Computed tomography of the spine; Sagittal slice 350/685; 11 vertebrae labeled in this scan
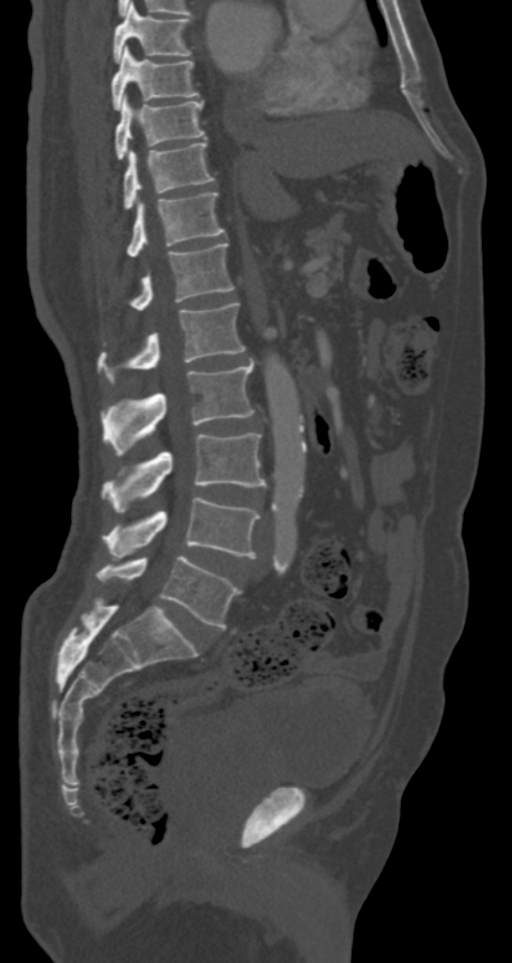
Box edges are left/top/right/bottom in pixels.
Vertebra bounding boxes:
- T7: left=112, top=4, right=191, bottom=63
- T8: left=112, top=46, right=198, bottom=109
- T9: left=116, top=94, right=206, bottom=159
- T10: left=123, top=142, right=214, bottom=209
- T11: left=126, top=192, right=223, bottom=257
- T12: left=130, top=242, right=234, bottom=311
- L1: left=98, top=303, right=245, bottom=382
- L2: left=101, top=362, right=254, bottom=455
- L3: left=101, top=433, right=266, bottom=512
- L4: left=103, top=497, right=259, bottom=558
- L5: left=96, top=556, right=241, bottom=628